Spine computed tomography · sagittal reformat
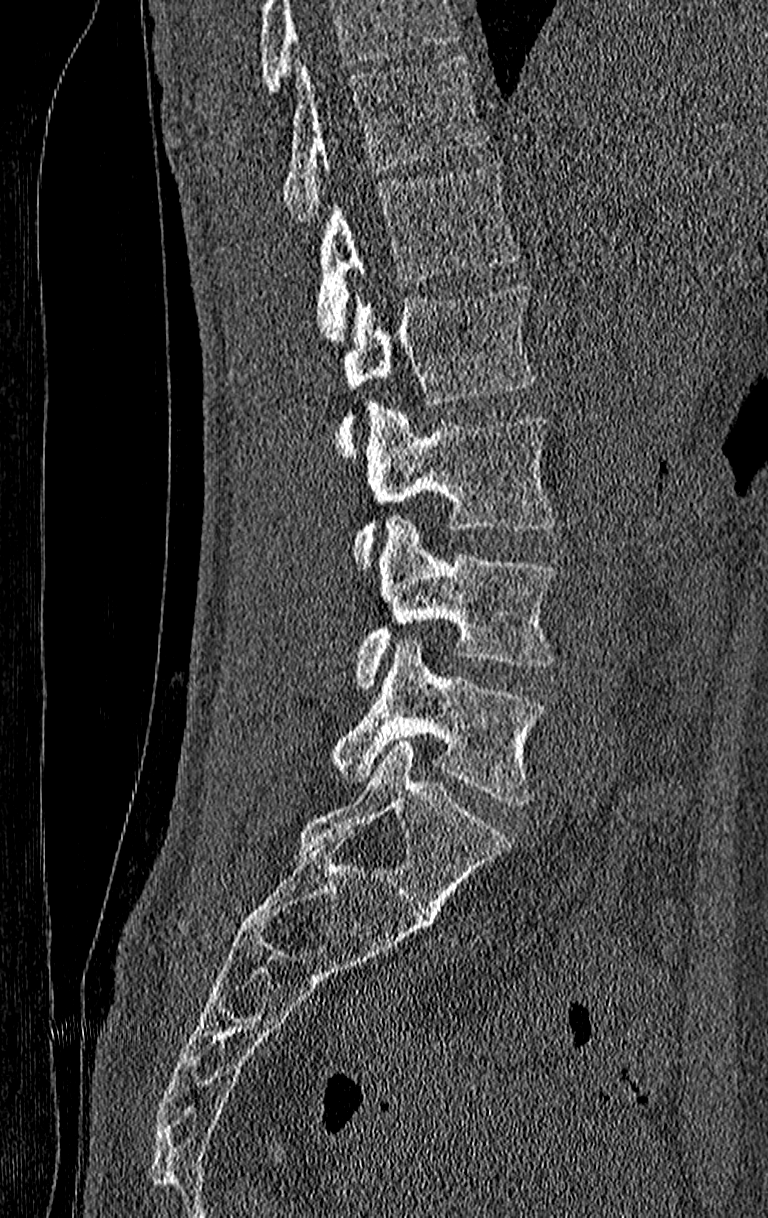
Boxes are (x1, y1, x2, y2) in pixels.
Vertebrae that run past the top of the scan are left unlabeled.
This scan's labels start at T11 at the top and end at L4 at the bottom.
Vertebra bounding boxes:
- T11: (284, 56, 488, 223)
- T12: (317, 161, 517, 340)
- L1: (335, 286, 535, 457)
- L2: (353, 403, 557, 567)
- L3: (357, 517, 554, 687)
- L4: (335, 637, 543, 804)